Computed tomography of the spine. sagittal reformat. the image is 190 mm wide. 512x694 px
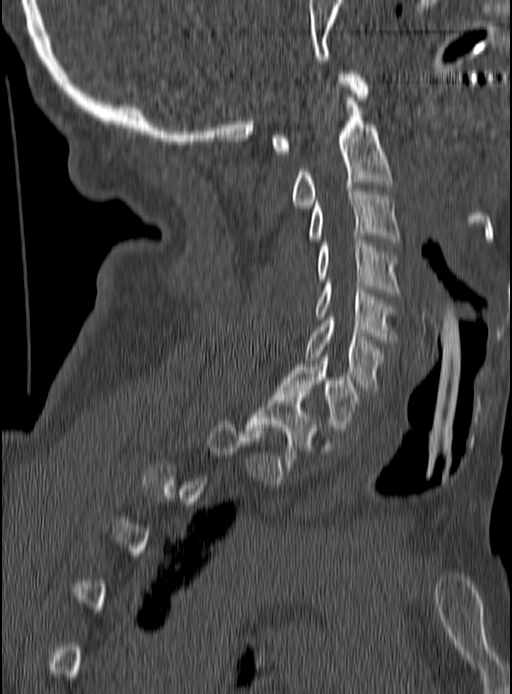
A vertebra is boxed only from the first to the last slice where its cross-section is at least a third of its largest; slices outside that range leave it without a box.
<vertebrae><v name="C1" x1="271" y1="71" x2="369" y2="154"/><v name="C2" x1="292" y1="98" x2="391" y2="208"/><v name="C3" x1="308" y1="189" x2="399" y2="242"/><v name="C4" x1="316" y1="236" x2="399" y2="295"/><v name="C5" x1="316" y1="283" x2="396" y2="343"/><v name="C6" x1="305" y1="317" x2="383" y2="390"/><v name="C7" x1="278" y1="357" x2="359" y2="430"/><v name="T1" x1="246" y1="391" x2="318" y2="467"/></vertebrae>